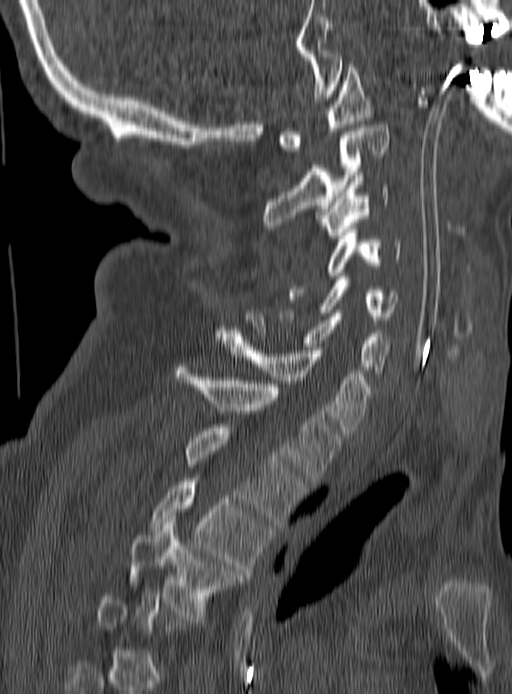

CT; sagittal view; Bone window (WL 400, WW 1800)
Each vertebra is boxed only on the slices from the first to the last where its cross-section reaches a third of its largest, so a slice outside that range leaves it unboxed.
<vertebrae><v name="C1" x1="278" y1="64" x2="373" y2="151"/><v name="C2" x1="262" y1="125" x2="388" y2="231"/><v name="C3" x1="319" y1="175" x2="389" y2="238"/><v name="C4" x1="289" y1="229" x2="402" y2="299"/><v name="C5" x1="279" y1="276" x2="397" y2="322"/><v name="C6" x1="246" y1="310" x2="391" y2="376"/><v name="C7" x1="216" y1="333" x2="372" y2="434"/><v name="T1" x1="176" y1="364" x2="339" y2="484"/><v name="T2" x1="184" y1="424" x2="304" y2="524"/><v name="T3" x1="152" y1="475" x2="269" y2="575"/><v name="T4" x1="130" y1="519" x2="240" y2="619"/></vertebrae>